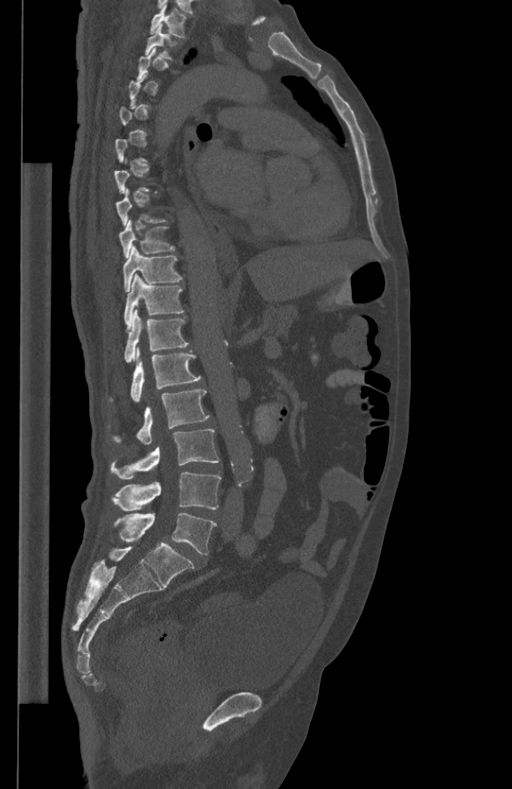

Computed tomography of the spine — sagittal view — bone-window reconstruction
A vertebra is boxed only from the first to the last slice where its cross-section is at least a third of its largest; slices outside that range leave it without a box.
<vertebrae><v name="T1" x1="150" y1="4" x2="185" y2="36"/><v name="T2" x1="145" y1="24" x2="178" y2="60"/><v name="T9" x1="119" y1="219" x2="175" y2="257"/><v name="T10" x1="123" y1="245" x2="182" y2="290"/><v name="T11" x1="124" y1="273" x2="184" y2="327"/><v name="T12" x1="124" y1="309" x2="188" y2="362"/><v name="L1" x1="131" y1="347" x2="201" y2="402"/><v name="L2" x1="113" y1="389" x2="209" y2="444"/><v name="L3" x1="111" y1="429" x2="218" y2="479"/><v name="L4" x1="112" y1="471" x2="221" y2="511"/><v name="L5" x1="114" y1="513" x2="216" y2="554"/></vertebrae>